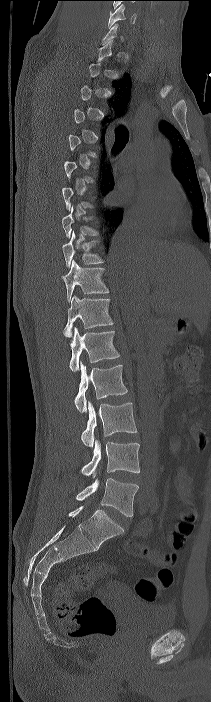
Spine computed tomography — sagittal view
Box edges are left/top/right/bottom in pixels.
Not every vertebra on this slice has a box: a vertebra is boxed only from the first to the last slice where its cross-section is at least a third of its largest, and this slice is outside that range for at least one of them.
This scan's labels start at C7 at the top and end at L4 at the bottom.
| vertebra | x1 | y1 | x2 | y2 |
|---|---|---|---|---|
| T8 | 62 | 206 | 99 | 237 |
| T9 | 62 | 231 | 104 | 267 |
| T10 | 61 | 259 | 108 | 302 |
| T11 | 63 | 295 | 113 | 337 |
| T12 | 69 | 327 | 119 | 371 |
| L1 | 74 | 362 | 127 | 412 |
| L2 | 81 | 401 | 137 | 446 |
| L3 | 81 | 439 | 140 | 477 |
| L4 | 76 | 477 | 138 | 516 |